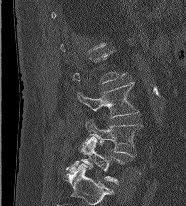 Computed tomography of the spine; sagittal reformat; bone window; 186x206 px
Boxes are (x1, y1, x2, y2) in pixels.
Not every vertebra on this slice has a box: a vertebra is boxed only from the first to the last slice where its cross-section is at least a third of its largest, and this slice is outside that range for at least one of them.
L5: (64, 137, 124, 184)
L4: (81, 120, 142, 156)
L3: (77, 82, 138, 117)